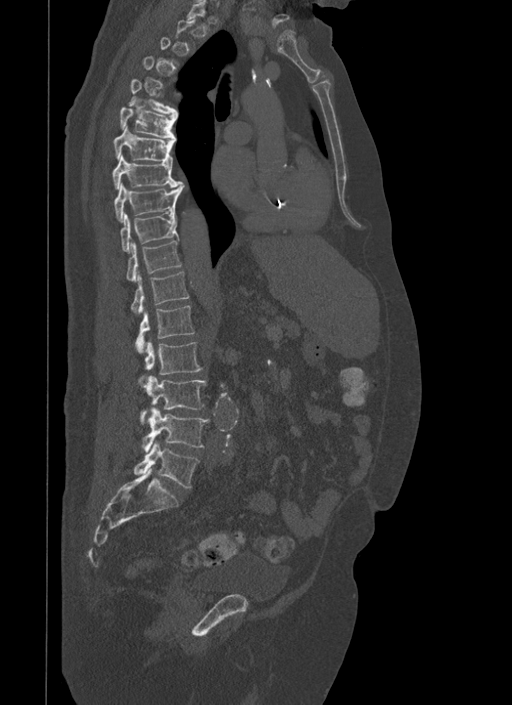
CT spine — sagittal reformat — Bone window (WL 400, WW 1800)
Box edges are left/top/right/bottom in pixels.
A vertebra is boxed only from the first to the last slice where its cross-section is at least a third of its largest; slices outside that range leave it without a box.
| vertebra | x1 | y1 | x2 | y2 |
|---|---|---|---|---|
| T5 | 128 | 79 | 178 | 118 |
| T6 | 119 | 106 | 176 | 139 |
| T7 | 113 | 126 | 173 | 164 |
| T8 | 112 | 155 | 181 | 189 |
| T9 | 114 | 182 | 184 | 221 |
| T10 | 120 | 212 | 179 | 252 |
| T11 | 126 | 241 | 182 | 282 |
| T12 | 131 | 271 | 189 | 312 |
| L1 | 136 | 305 | 194 | 352 |
| L2 | 145 | 340 | 202 | 374 |
| L3 | 141 | 375 | 206 | 423 |
| L4 | 143 | 407 | 208 | 452 |
| L5 | 135 | 441 | 199 | 487 |